Spine computed tomography. 140 mm wide. sagittal plane, index 280. Bone window (WL 400, WW 1800)
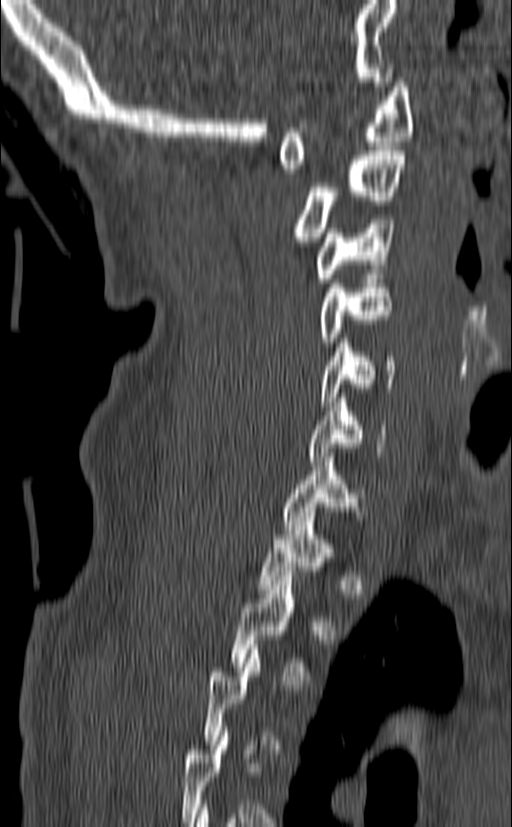
Each row gives a vertebra's box as x1, y1, x2, y2 in pixels: top-left corner, then bottom-right corner.
A vertebra gets a box only on the slices from the first to the last where its cross-section is at least a third of its largest; on a slice outside that range it gets none.
| vertebra | x1 | y1 | x2 | y2 |
|---|---|---|---|---|
| C1 | 278 | 78 | 413 | 173 |
| C2 | 294 | 146 | 406 | 246 |
| C3 | 316 | 219 | 394 | 282 |
| C4 | 320 | 274 | 392 | 346 |
| C5 | 319 | 338 | 395 | 406 |
| C6 | 309 | 398 | 386 | 461 |
| C7 | 283 | 453 | 363 | 534 |
| T1 | 258 | 512 | 346 | 593 |
| T2 | 231 | 571 | 310 | 680 |